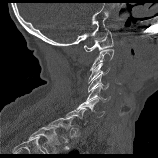 Computed tomography of the spine · sagittal view · 158x158 px · the image is 158 mm wide. Boxes are given in columns x1, y1, x2, y2, the pixel coordinates of their top-left and bottom-right corners.
A vertebra gets a box only on the slices from the first to the last where its cross-section is at least a third of its largest; on a slice outside that range it gets none.
Labels in this scan begin with C1 at the top and end with T1 at the bottom.
| vertebra | x1 | y1 | x2 | y2 |
|---|---|---|---|---|
| C1 | 84 | 30 | 113 | 51 |
| C3 | 88 | 62 | 110 | 83 |
| C4 | 88 | 72 | 108 | 92 |
| C5 | 86 | 84 | 110 | 102 |
| C6 | 77 | 98 | 104 | 117 |
| T1 | 46 | 118 | 71 | 142 |